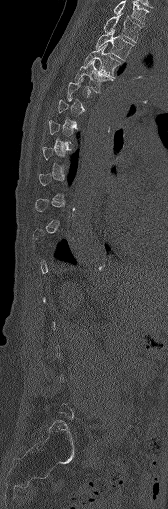
Spine CT — sagittal view
Boxes below are [x1, y1, x2, y2] in pixels.
Not every vertebra on this slice has a box: a vertebra is boxed only from the first to the last slice where its cross-section is at least a third of its largest, and this slice is outside that range for at least one of them.
{"vertebrae":{"C7":[113,0,148,24],"T1":[103,14,141,42],"T2":[95,30,134,60],"T3":[84,44,122,76],"T4":[75,60,112,92]}}